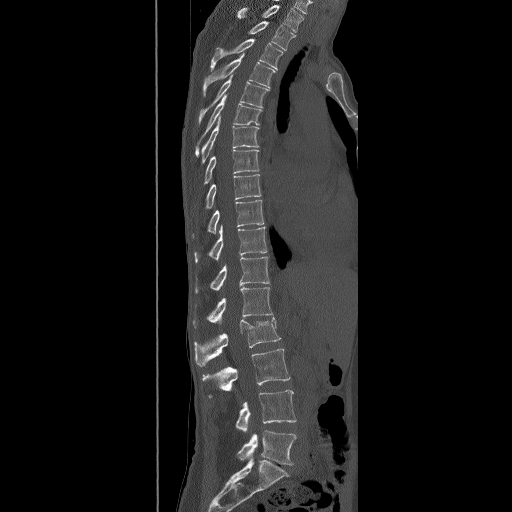 Computed tomography of the spine — sagittal view — 512x512 px
Box edges are left/top/right/bottom in pixels.
The highest labeled vertebra in this scan is T2; the lowest is L5.
Vertebra bounding boxes:
- L5: left=236, top=430, right=296, bottom=465
- L4: left=235, top=389, right=296, bottom=432
- L3: left=202, top=349, right=291, bottom=398
- L2: left=194, top=316, right=280, bottom=366
- L1: left=192, top=287, right=273, bottom=327
- T12: left=194, top=256, right=270, bottom=293
- T11: left=194, top=225, right=267, bottom=262
- T10: left=207, top=199, right=264, bottom=233
- T9: left=205, top=174, right=262, bottom=209
- T8: left=204, top=149, right=259, bottom=184
- T7: left=201, top=116, right=259, bottom=164
- T6: left=195, top=94, right=263, bottom=158
- T5: left=199, top=73, right=269, bottom=124
- T4: left=203, top=53, right=275, bottom=96
- T3: left=210, top=39, right=282, bottom=71
- T2: left=247, top=21, right=295, bottom=50